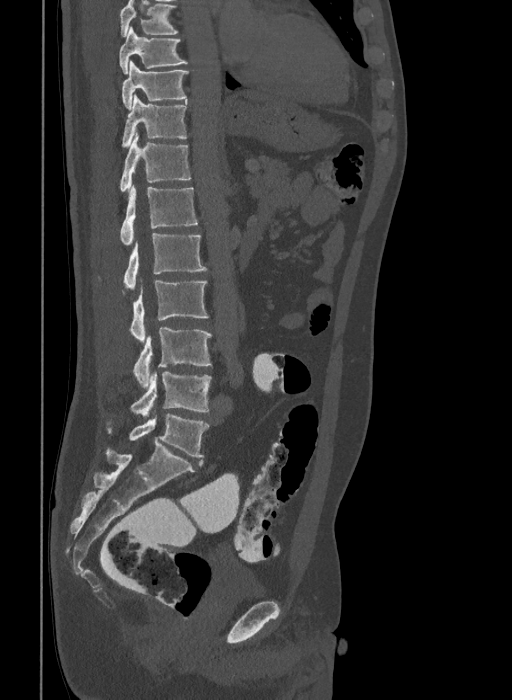

Computed tomography of the spine; the image spans 409 mm across; sagittal view
This scan's labels start at T9 at the top and end at L6 at the bottom.
The labels name a sixth lumbar vertebra for this spine: L6, after L5.
<vertebrae><v name="T9" x1="119" y1="26" x2="188" y2="74"/><v name="T10" x1="121" y1="61" x2="188" y2="109"/><v name="T11" x1="121" y1="95" x2="187" y2="147"/><v name="T12" x1="120" y1="133" x2="190" y2="191"/><v name="L1" x1="120" y1="185" x2="198" y2="245"/><v name="L2" x1="123" y1="233" x2="207" y2="289"/><v name="L3" x1="121" y1="281" x2="208" y2="342"/><v name="L4" x1="133" y1="327" x2="212" y2="388"/><v name="L5" x1="130" y1="372" x2="212" y2="416"/><v name="L6" x1="106" y1="413" x2="209" y2="456"/></vertebrae>